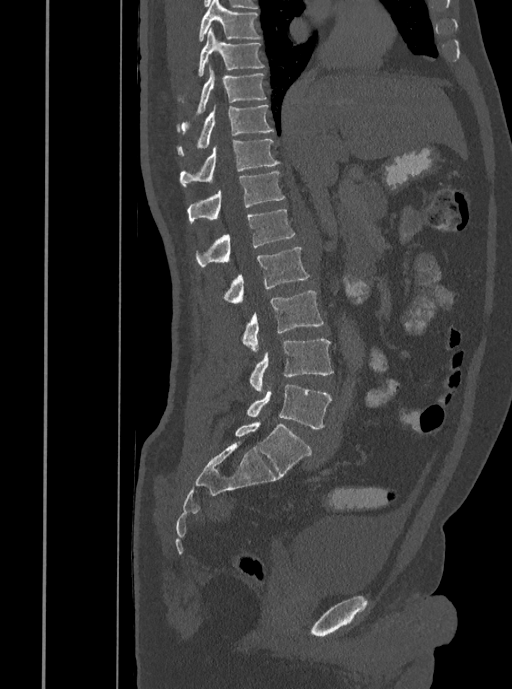

CT spine · sagittal view · 512x689 px · 408 mm across the image
Bounding boxes as [x1, y1, x2, y2] in pixel coordinates.
T7: [198, 0, 260, 41]
T8: [177, 27, 264, 101]
T9: [178, 66, 266, 132]
T10: [178, 104, 274, 156]
T11: [179, 139, 280, 186]
T12: [186, 171, 285, 223]
L1: [196, 210, 295, 267]
L2: [223, 247, 309, 303]
L3: [242, 290, 323, 351]
L4: [250, 339, 333, 391]
L5: [247, 384, 331, 428]